CT spine; sagittal plane, index 227
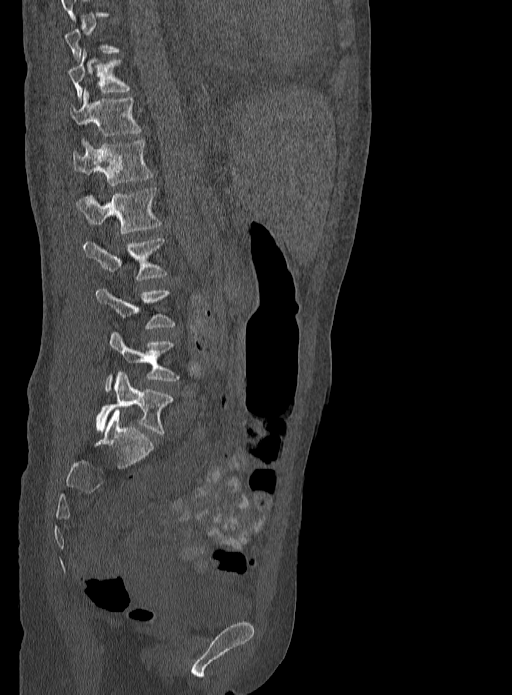

Each vertebra is boxed only on the slices from the first to the last where its cross-section reaches a third of its largest, so a slice outside that range leaves it unboxed.
<vertebrae><v name="T10" x1="67" y1="51" x2="129" y2="100"/><v name="T11" x1="70" y1="89" x2="140" y2="136"/><v name="T12" x1="74" y1="140" x2="152" y2="185"/><v name="L1" x1="77" y1="188" x2="160" y2="234"/><v name="L2" x1="83" y1="238" x2="166" y2="280"/><v name="L4" x1="105" y1="332" x2="179" y2="391"/><v name="L5" x1="95" y1="371" x2="172" y2="434"/></vertebrae>